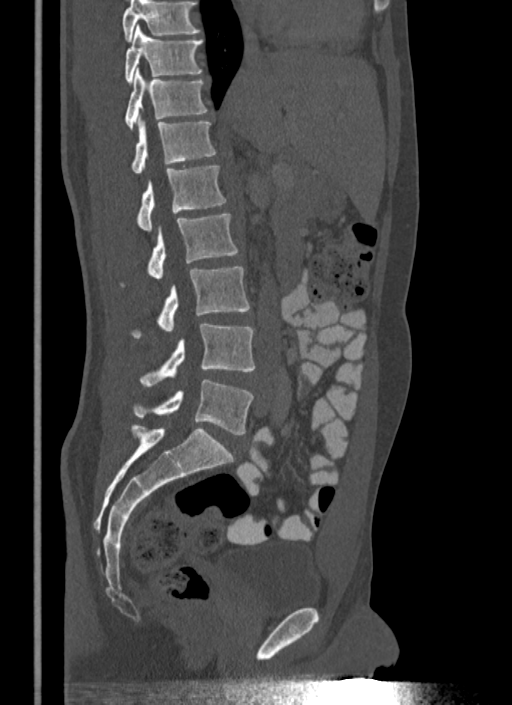 CT, spine — sagittal view — the image is 340 mm wide
In the table, x1 and y1 are a box's top-left corner and x2 and y2 its bottom-right corner, in pixels.
A vertebra cut off by the top edge of the scan is not labeled and has no box.
| vertebra | x1 | y1 | x2 | y2 |
|---|---|---|---|---|
| L5 | 134 | 379 | 253 | 434 |
| L4 | 140 | 324 | 255 | 386 |
| L3 | 132 | 267 | 249 | 338 |
| L2 | 147 | 214 | 238 | 279 |
| L1 | 137 | 166 | 226 | 231 |
| T12 | 131 | 117 | 216 | 174 |
| T11 | 125 | 68 | 207 | 130 |
| T10 | 125 | 26 | 202 | 83 |